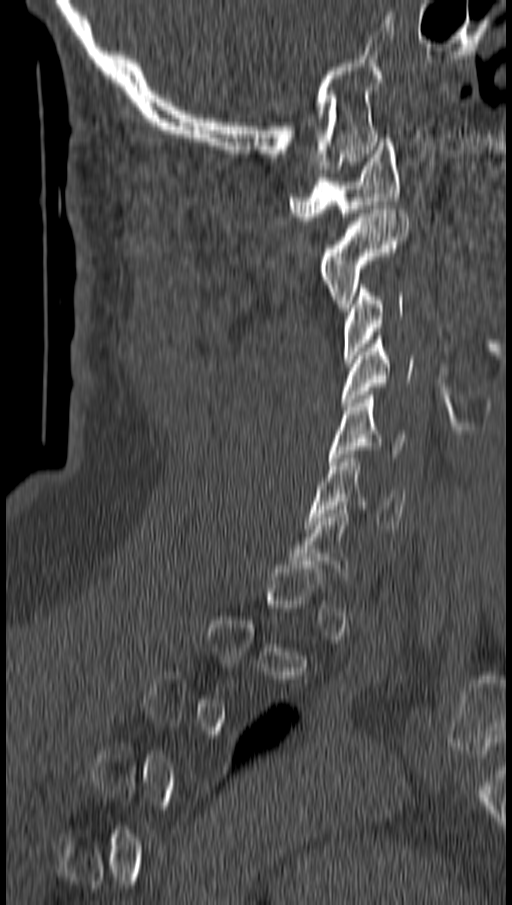

CT spine · sagittal view
Not every vertebra on this slice has a box: a vertebra is boxed only from the first to the last slice where its cross-section is at least a third of its largest, and this slice is outside that range for at least one of them.
<vertebrae><v name="C1" x1="289" y1="138" x2="401" y2="220"/><v name="C2" x1="320" y1="209" x2="408" y2="311"/><v name="C3" x1="342" y1="284" x2="405" y2="362"/><v name="C4" x1="342" y1="336" x2="414" y2="406"/><v name="C5" x1="330" y1="391" x2="406" y2="461"/><v name="C6" x1="308" y1="454" x2="406" y2="528"/></vertebrae>